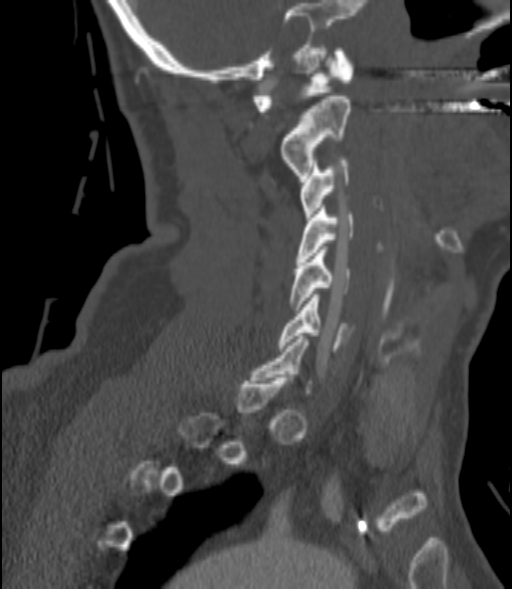
Spine computed tomography; sagittal reformat; W/L 1800/400 HU; 200 mm across the image; 512x589 px
Each box given as x1,y1,x2,y2.
A vertebra is boxed only from the first to the last slice where its cross-section is at least a third of its largest; slices outside that range leave it without a box.
Vertebra bounding boxes:
- C1: x1=252, y1=48, x2=353, y2=111
- C2: x1=282, y1=96, x2=351, y2=178
- C3: x1=300, y1=160, x2=348, y2=220
- C4: x1=297, y1=208, x2=353, y2=261
- C5: x1=290, y1=246, x2=351, y2=309
- C6: x1=278, y1=294, x2=350, y2=351